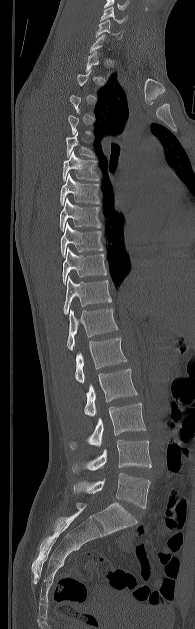 Spine computed tomography. image width 195 mm. sagittal view. Bone window (WL 400, WW 1800)

Boxes are given in columns x1, y1, x2, y2, the pixel coordinates of their top-left and bottom-right corners.
Each vertebra is boxed only on the slices from the first to the last where its cross-section reaches a third of its largest, so a slice outside that range leaves it unboxed.
| vertebra | x1 | y1 | x2 | y2 |
|---|---|---|---|---|
| C5 | 101 | 6 | 126 | 23 |
| C6 | 96 | 20 | 121 | 38 |
| T5 | 66 | 132 | 94 | 157 |
| T6 | 62 | 151 | 98 | 180 |
| T7 | 60 | 173 | 99 | 205 |
| T8 | 59 | 198 | 101 | 230 |
| T9 | 60 | 222 | 103 | 256 |
| T10 | 62 | 247 | 106 | 283 |
| T11 | 63 | 276 | 111 | 314 |
| T12 | 66 | 308 | 118 | 350 |
| L1 | 74 | 337 | 126 | 383 |
| L2 | 84 | 368 | 137 | 416 |
| L3 | 69 | 403 | 145 | 449 |
| L4 | 72 | 439 | 151 | 472 |
| L5 | 73 | 473 | 150 | 508 |